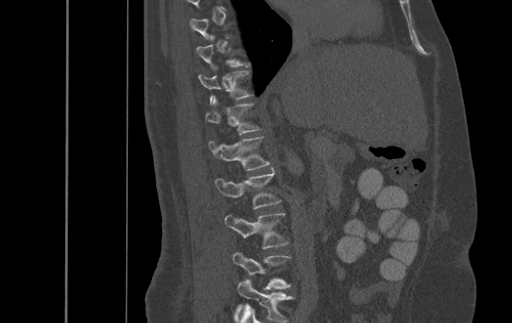
CT, spine; sagittal view; Bone window (WL 400, WW 1800). Each box given as x1,y1,x2,y2. A vertebra is boxed only from the first to the last slice where its cross-section is at least a third of its largest; slices outside that range leave it without a box. Labels in this scan begin with T9 at the top and end with L4 at the bottom. 6 vertebrae labeled — L4 at x1=234, y1=253, x2=290, y2=289; L3 at x1=225, y1=213, x2=288, y2=249; L2 at x1=215, y1=168, x2=280, y2=209; L1 at x1=209, y1=137, x2=268, y2=170; T12 at x1=206, y1=96, x2=258, y2=134; T11 at x1=199, y1=72, x2=252, y2=102.